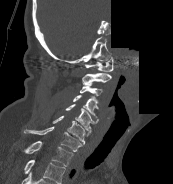 CT, spine · 173 mm wide · sagittal reformat · a region of this slice is masked with a uniform fill
This scan's labels start at C1 at the top and end at T1 at the bottom.
<vertebrae><v name="C1" x1="84" y1="57" x2="113" y2="71"/><v name="C2" x1="82" y1="73" x2="111" y2="84"/><v name="C3" x1="79" y1="83" x2="102" y2="95"/><v name="C4" x1="73" y1="95" x2="98" y2="117"/><v name="C5" x1="65" y1="104" x2="98" y2="131"/><v name="C6" x1="52" y1="115" x2="90" y2="144"/><v name="C7" x1="24" y1="126" x2="82" y2="151"/><v name="T1" x1="24" y1="141" x2="73" y2="166"/></vertebrae>